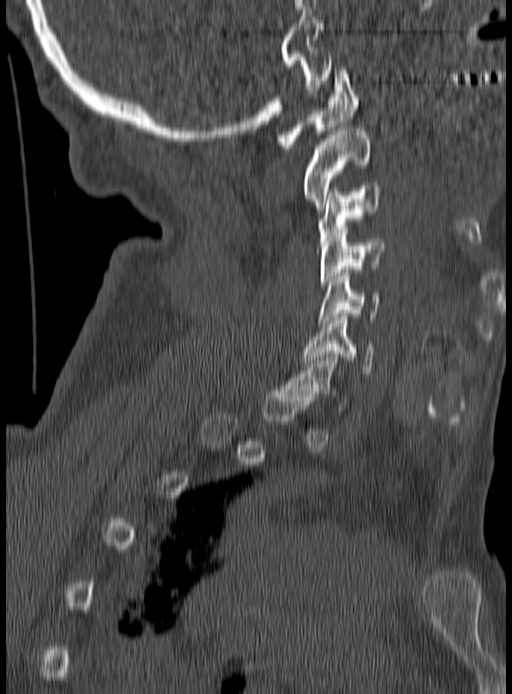 Spine computed tomography. sagittal view. W/L 1800/400 HU

Coordinates as <box>x1,y1,x2,y2</box>.
A vertebra gets a box only on the slices from the first to the last where its cross-section is at least a third of its largest; on a slice outside that range it gets none.
C1: <box>278,67,359,151</box>
C2: <box>303,128,369,211</box>
C3: <box>319,182,381,242</box>
C4: <box>319,226,386,289</box>
C5: <box>319,273,380,326</box>
C6: <box>303,317,374,376</box>